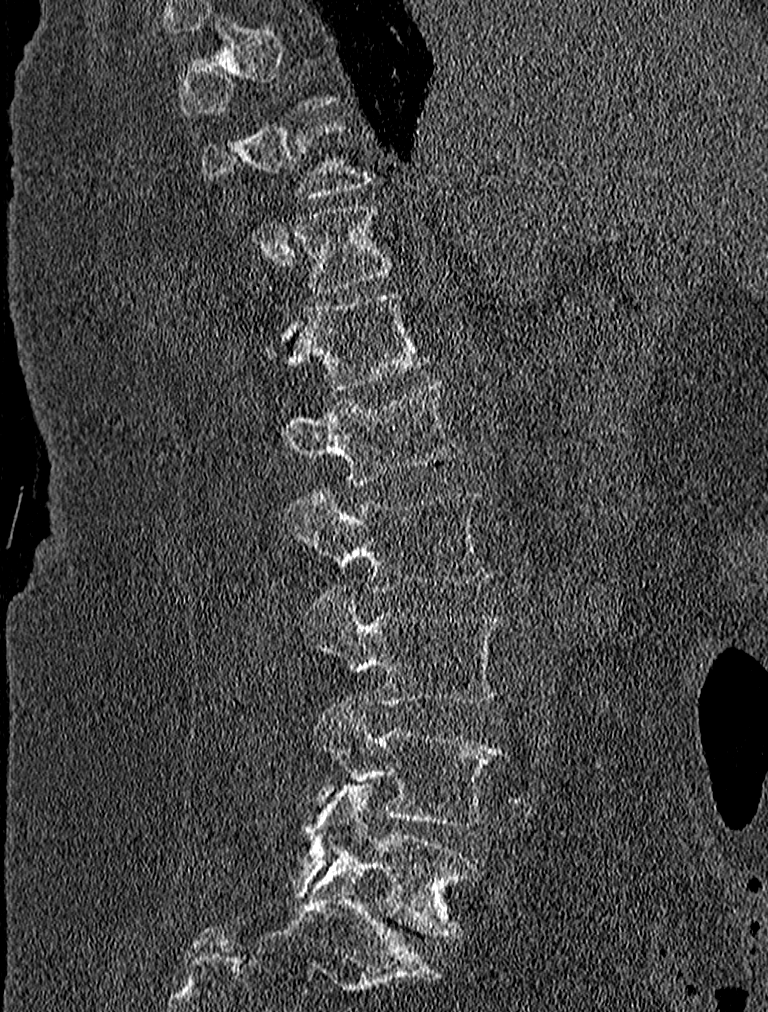 CT — the image spans 227 mm across — sagittal view

Boxes are given in columns x1, y1, x2, y2, the pixel coordinates of their top-left and bottom-right corners.
A vertebra is boxed only from the first to the last slice where its cross-section is at least a third of its largest; slices outside that range leave it without a box.
| vertebra | x1 | y1 | x2 | y2 |
|---|---|---|---|---|
| T11 | 294 | 207 | 390 | 293 |
| T12 | 264 | 291 | 427 | 389 |
| L1 | 283 | 379 | 461 | 483 |
| L2 | 283 | 487 | 488 | 593 |
| L3 | 302 | 583 | 502 | 704 |
| L4 | 311 | 699 | 504 | 826 |
| L5 | 293 | 784 | 475 | 935 |